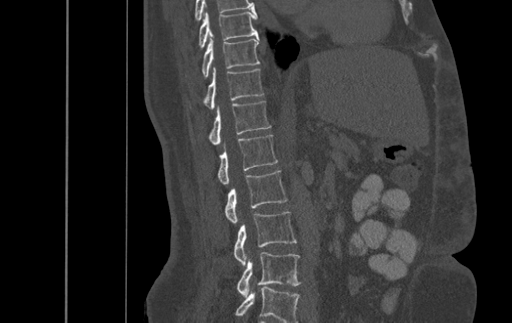
CT, spine. sagittal view. bone window. image 500 mm wide. 512x323 px

Boxes below are [x1, y1, x2, y2] in pixels.
Labels in this scan begin with T9 at the top and end with L4 at the bottom.
{"vertebrae":{"T9":[199,12,257,47],"T10":[202,37,259,77],"T11":[204,67,263,109],"T12":[209,100,270,144],"L1":[218,134,277,184],"L2":[225,170,287,223],"L3":[234,212,296,265],"L4":[237,252,300,297]}}